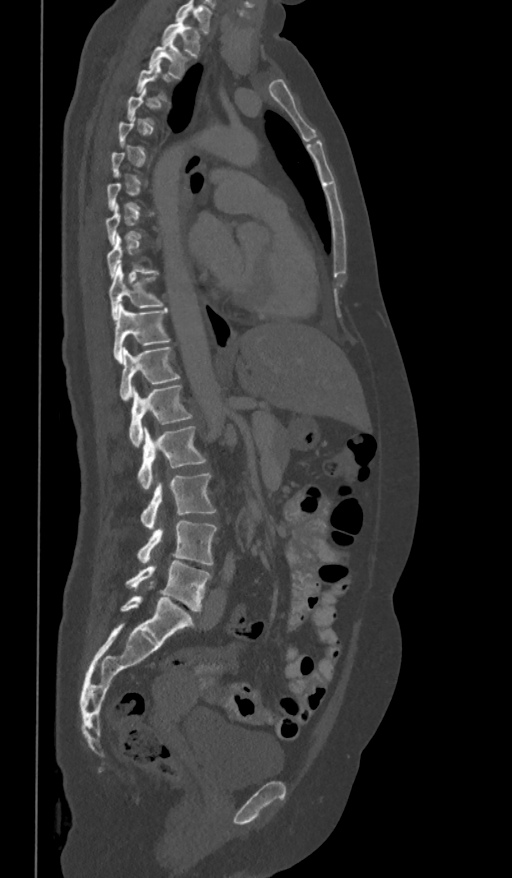

CT, spine · sagittal view · 512x878 px · image 361 mm wide
Each box given as x1,y1,x2,y2.
Not every vertebra on this slice has a box: a vertebra is boxed only from the first to the last slice where its cross-section is at least a third of its largest, and this slice is outside that range for at least one of them.
The highest labeled vertebra in this scan is T1; the lowest is L5.
T1: x1=161, y1=15, x2=202, y2=56
T2: x1=149, y1=38, x2=192, y2=79
T3: x1=136, y1=61, x2=170, y2=102
T9: x1=108, y1=236, x2=159, y2=279
T10: x1=109, y1=264, x2=163, y2=318
T11: x1=113, y1=304, x2=170, y2=360
T12: x1=119, y1=346, x2=180, y2=401
L1: x1=129, y1=384, x2=193, y2=446
L2: x1=137, y1=426, x2=206, y2=489
L3: x1=140, y1=472, x2=216, y2=529
L4: x1=136, y1=520, x2=217, y2=566
L5: x1=126, y1=560, x2=212, y2=610